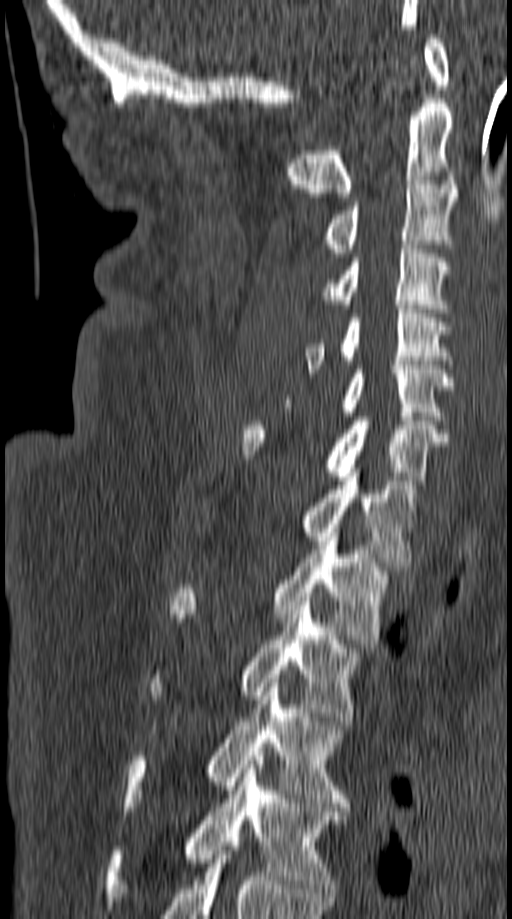
Spine computed tomography; sagittal view; 149 mm image width
In the table, x1 and y1 are a box's top-left corner and x2 and y2 its bottom-right corner, in pixels.
| vertebra | x1 | y1 | x2 | y2 |
|---|---|---|---|---|
| C1 | 424 | 34 | 450 | 89 |
| C2 | 286 | 99 | 454 | 197 |
| C3 | 324 | 180 | 456 | 257 |
| C4 | 323 | 245 | 447 | 308 |
| C5 | 304 | 305 | 452 | 373 |
| C6 | 282 | 365 | 453 | 424 |
| C7 | 241 | 417 | 446 | 480 |
| T1 | 304 | 468 | 417 | 566 |
| T2 | 170 | 528 | 385 | 648 |
| T3 | 150 | 597 | 358 | 721 |
| T4 | 125 | 683 | 347 | 807 |
| T5 | 107 | 760 | 346 | 910 |